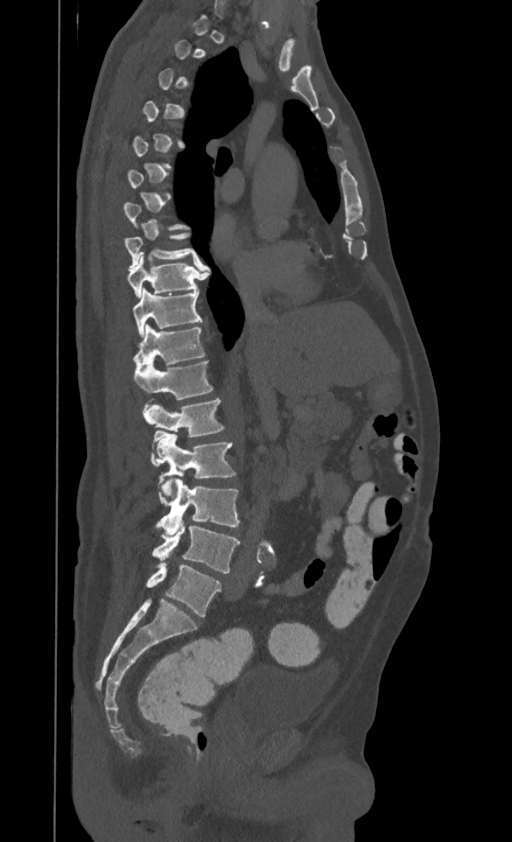 Spine computed tomography; sagittal view; bone-window reconstruction; 512x842 px
Box values are [left, top, right, bottom] in pixels.
Not every vertebra on this slice has a box: a vertebra is boxed only from the first to the last slice where its cross-section is at least a third of its largest, and this slice is outside that range for at least one of them.
In this scan, the topmost labeled vertebra is T1 and the lowest is L4.
{"vertebrae":{"T8":[124,233,198,268],"T9":[127,253,205,296],"T10":[132,289,201,336],"T11":[133,324,205,366],"T12":[135,360,213,399],"L1":[144,399,223,436],"L2":[152,430,235,495],"L3":[155,478,239,536],"L4":[152,520,239,573]}}